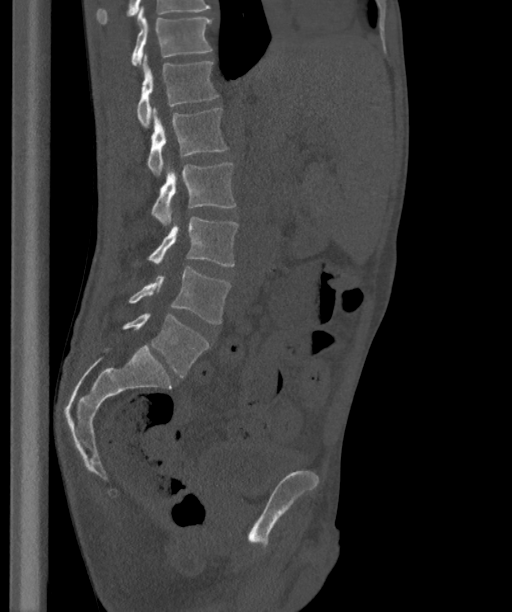

Computed tomography of the spine. sagittal view

In these labels the spine has an L6, a sixth lumbar vertebra below L5.
<vertebrae><v name="T12" x1="131" y1="6" x2="212" y2="65"/><v name="L1" x1="137" y1="53" x2="219" y2="127"/><v name="L2" x1="148" y1="108" x2="227" y2="175"/><v name="L3" x1="152" y1="162" x2="236" y2="225"/><v name="L4" x1="148" y1="217" x2="237" y2="266"/><v name="L5" x1="128" y1="267" x2="230" y2="323"/><v name="L6" x1="123" y1="312" x2="209" y2="377"/></vertebrae>